CT, spine. Sagittal slice 298/512. bone window. 512x696 px
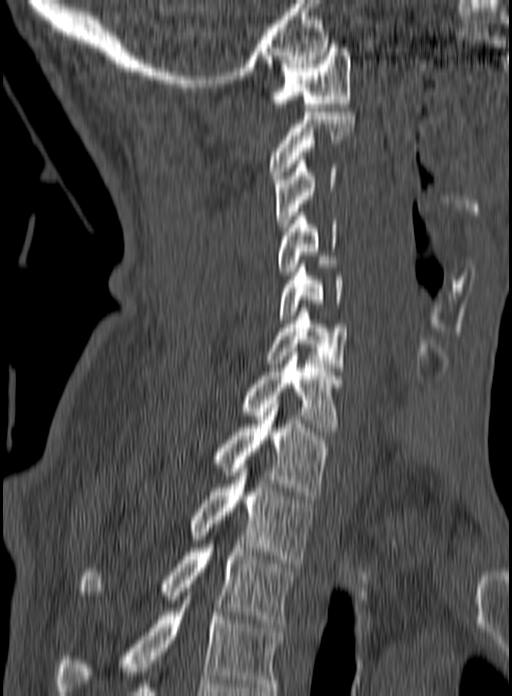 Each row gives a vertebra's box as x1, y1, x2, y2 in pixels: top-left corner, then bottom-right corner.
In this scan, the topmost labeled vertebra is C1 and the lowest is T3.
| vertebra | x1 | y1 | x2 | y2 |
|---|---|---|---|---|
| T3 | 78 | 544 | 295 | 627 |
| T2 | 190 | 464 | 314 | 563 |
| T1 | 212 | 400 | 334 | 499 |
| C7 | 241 | 356 | 341 | 431 |
| C6 | 264 | 308 | 347 | 367 |
| C5 | 279 | 260 | 343 | 319 |
| C4 | 278 | 212 | 336 | 275 |
| C3 | 274 | 156 | 337 | 231 |
| C2 | 269 | 112 | 355 | 179 |
| C1 | 270 | 48 | 351 | 111 |